CT spine. Sagittal slice 31/61. 114 mm wide. 114x198 px
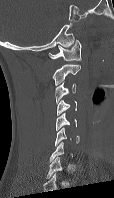 Box edges are left/top/right/bottom in pixels.
A vertebra is boxed only from the first to the last slice where its cross-section is at least a third of its largest; slices outside that range leave it without a box.
| vertebra | x1 | y1 | x2 | y2 |
|---|---|---|---|---|
| C1 | 48 | 40 | 81 | 61 |
| C2 | 53 | 64 | 80 | 85 |
| C3 | 55 | 81 | 76 | 104 |
| C4 | 56 | 100 | 77 | 115 |
| C5 | 55 | 113 | 76 | 130 |
| C6 | 54 | 127 | 79 | 146 |